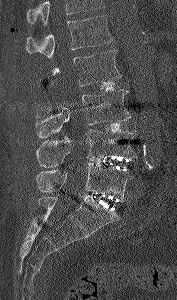 CT. 177 mm image width. sagittal view. 177x300 px

Box values are [left, top, right, bottom] in pixels.
Vertebrae that run past the top of the scan are left unlabeled.
{"vertebrae":{"L1":[26,15,113,59],"L2":[48,50,121,86],"L3":[35,89,132,138],"L4":[35,129,137,167],"L5":[36,163,133,199]}}